Computed tomography of the spine — sagittal view — bone-window reconstruction
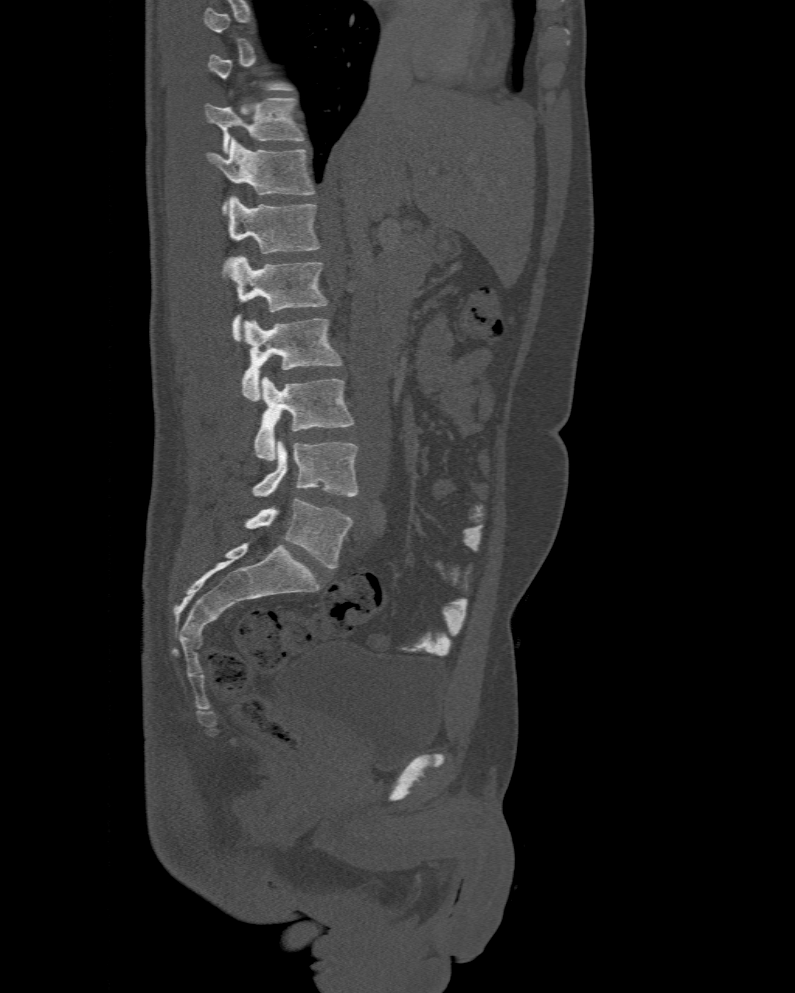 Bounding boxes as [x1, y1, x2, y2] in pixel coordinates. A vertebra gets a box only on the slices from the first to the last where its cross-section is at least a third of its largest; on a slice outside that range it gets none. The labels name a sixth lumbar vertebra for this spine: L6, after L5. Vertebrae labeled: T11 at [205, 98, 303, 154], T12 at [207, 138, 316, 214], L1 at [220, 196, 320, 277], L2 at [222, 256, 328, 341], L3 at [241, 318, 342, 401], L4 at [255, 377, 355, 461], L5 at [252, 442, 359, 496], L6 at [244, 498, 353, 569].